CT. sagittal reformat. 512x756 px. 350 mm image width
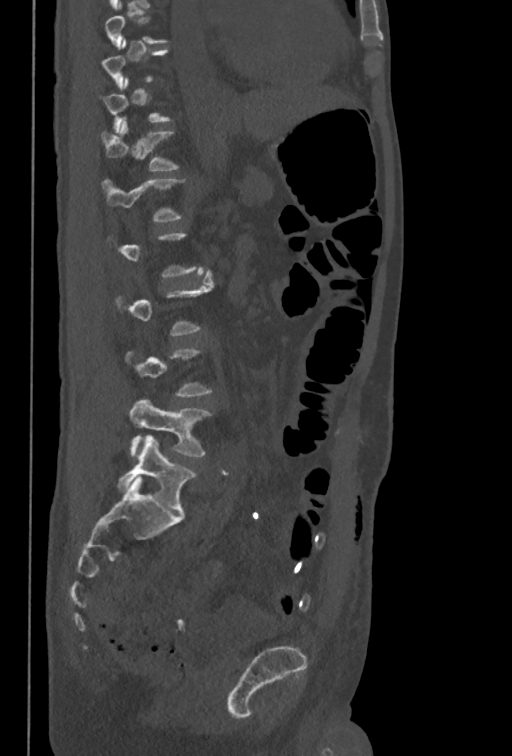

In the table, x1 and y1 are a box's top-left corner and x2 and y2 its bottom-right corner, in pixels.
A vertebra is boxed only from the first to the last slice where its cross-section is at least a third of its largest; slices outside that range leave it without a box.
| vertebra | x1 | y1 | x2 | y2 |
|---|---|---|---|---|
| T12 | 101 | 117 | 179 | 171 |
| L1 | 101 | 178 | 185 | 222 |
| L5 | 130 | 400 | 211 | 456 |